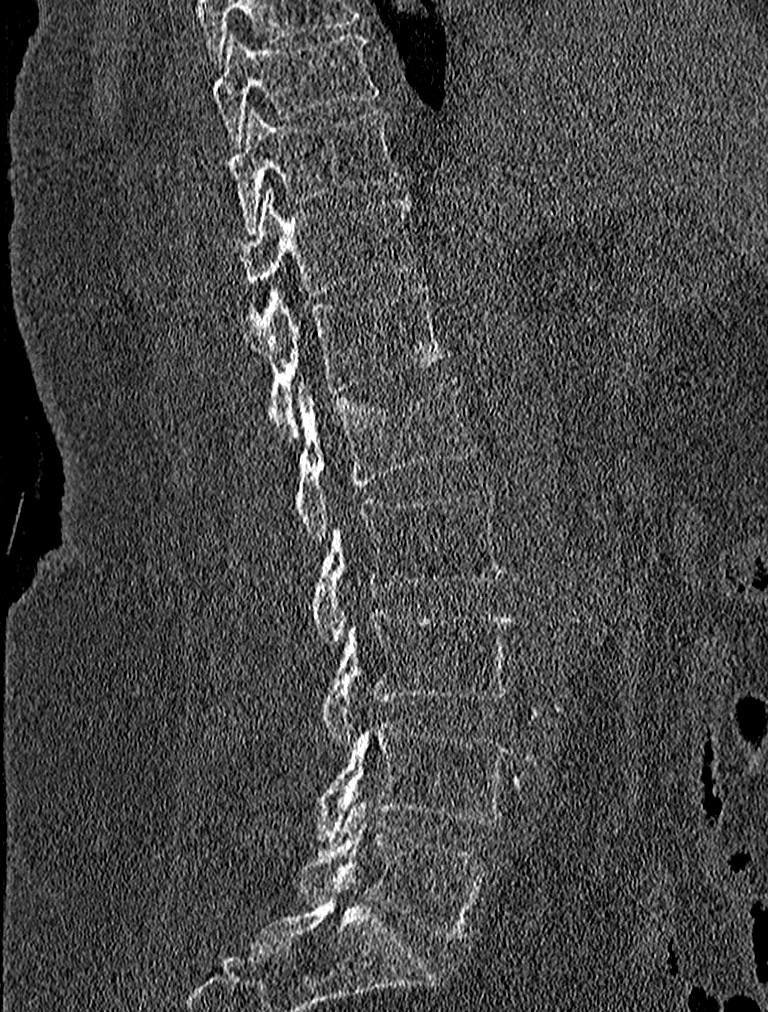 Spine CT — sagittal view — 227 mm image width
Bounding boxes as [x1, y1, x2, y2] in pixel coordinates. The labeled vertebrae in this slice are: L5 at [300, 801, 488, 941], L4 at [305, 719, 510, 839], L3 at [320, 611, 512, 745], L2 at [310, 487, 505, 643], L1 at [297, 379, 475, 544], T12 at [252, 285, 448, 441], T11 at [231, 187, 414, 297], T10 at [229, 108, 400, 232], T9 at [212, 30, 380, 148].